CT, spine. sagittal view. bone window. 164x404 px
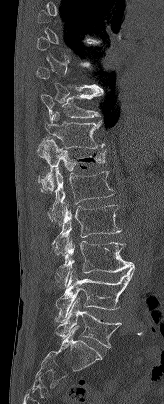

Each box given as x1,y1,x2,y2.
Not every vertebra on this slice has a box: a vertebra is boxed only from the first to the last slice where its cross-section is at least a third of its largest, and this slice is outside that range for at least one of them.
T10: x1=40, y1=91, x2=103, y2=122
T11: x1=45, y1=112, x2=104, y2=148
T12: x1=37, y1=139, x2=106, y2=192
L1: x1=48, y1=166, x2=114, y2=225
L2: x1=52, y1=205, x2=121, y2=254
L3: x1=56, y1=237, x2=134, y2=286
L4: x1=56, y1=268, x2=135, y2=321
L5: x1=55, y1=299, x2=121, y2=348